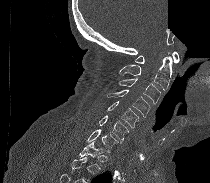

CT spine · sagittal view · W/L 1800/400 HU · part of the image has been replaced by a constant value
Each box is [x1, y1, x2, y2] in pixels: top-left corner, then bottom-right corner.
A vertebra is boxed only from the first to the last slice where its cross-section is at least a third of its largest; slices outside that range leave it without a box.
{"vertebrae":{"C1":[135,51,179,63],"C2":[119,52,172,90],"C3":[118,78,161,104],"C4":[107,90,150,117],"C5":[106,101,138,127],"C6":[99,115,129,144],"C7":[87,129,118,152]}}